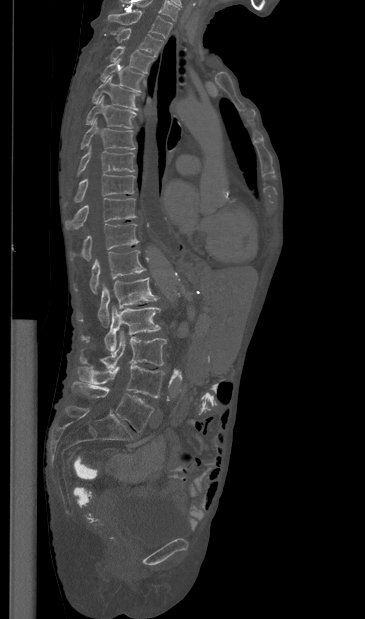

CT, spine — sagittal reformat — image width 365 mm. Columns x1, y1, x2, y2 give each box's top-left and bottom-right pixels.
Labels in this scan begin with T1 at the top and end with L5 at the bottom.
| vertebra | x1 | y1 | x2 | y2 |
|---|---|---|---|---|
| T1 | 108 | 10 | 172 | 38 |
| T2 | 116 | 28 | 162 | 56 |
| T3 | 110 | 45 | 153 | 72 |
| T4 | 101 | 58 | 143 | 91 |
| T5 | 92 | 75 | 138 | 110 |
| T6 | 86 | 95 | 136 | 128 |
| T7 | 81 | 118 | 135 | 149 |
| T8 | 77 | 145 | 134 | 175 |
| T9 | 65 | 173 | 135 | 205 |
| T10 | 65 | 197 | 136 | 229 |
| T11 | 70 | 223 | 138 | 261 |
| T12 | 74 | 249 | 145 | 293 |
| L1 | 77 | 277 | 158 | 327 |
| L2 | 81 | 306 | 160 | 352 |
| L3 | 79 | 331 | 166 | 367 |
| L4 | 78 | 365 | 164 | 398 |
| L5 | 71 | 381 | 153 | 431 |